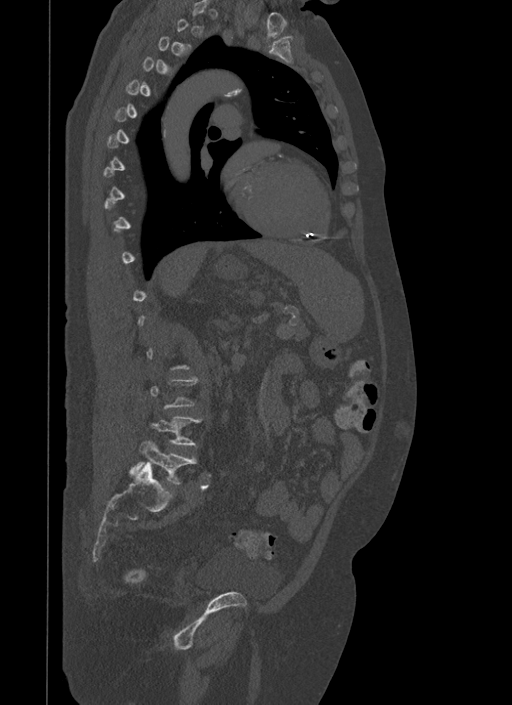 CT, spine · the image is 500 mm wide · sagittal view · bone-window reconstruction. Box edges are left/top/right/bottom in pixels.
Not every vertebra on this slice has a box: a vertebra is boxed only from the first to the last slice where its cross-section is at least a third of its largest, and this slice is outside that range for at least one of them.
L5: left=131, top=439, right=197, bottom=484
L4: left=151, top=416, right=202, bottom=445